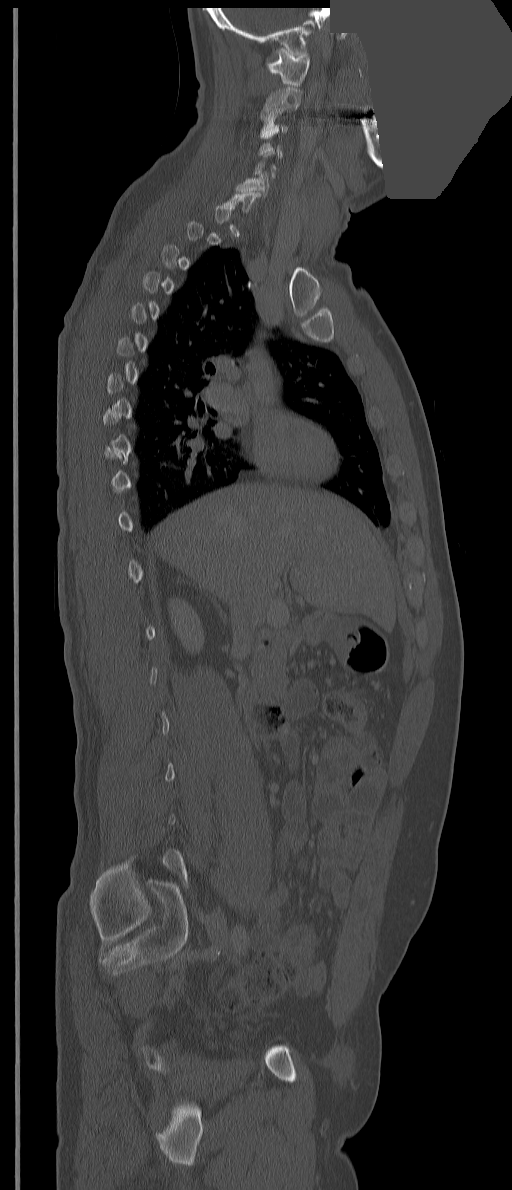
Spine CT; sagittal view; Bone window (WL 400, WW 1800); 512x1190 px; a portion of the image is blanked out (constant pixel value). Box edges are left/top/right/bottom in pixels.
Not every vertebra on this slice has a box: a vertebra is boxed only from the first to the last slice where its cross-section is at least a third of its largest, and this slice is outside that range for at least one of them.
C1: left=267, top=48, right=310, bottom=85
C2: left=261, top=87, right=301, bottom=116
C3: left=260, top=114, right=287, bottom=136
C6: left=236, top=171, right=269, bottom=195